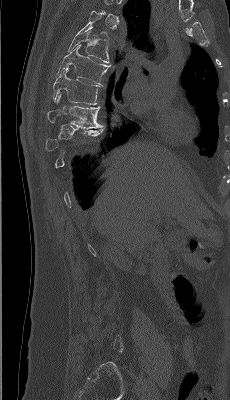 Spine CT. sagittal view. 230 mm image width
Boxes are (x1, y1, x2, y2) in pixels.
A vertebra gets a box only on the slices from the first to the last where its cross-section is at least a third of its largest; on a slice outside that range it gets none.
Vertebra bounding boxes:
- T5: (67, 27, 109, 63)
- T6: (56, 44, 109, 86)
- T7: (53, 68, 100, 104)
- T8: (47, 94, 102, 128)